Spine computed tomography · sagittal view · 152x179 px
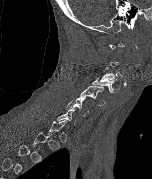
Boxes are (x1, y1, x2, y2) in pixels. Each vertebra is boxed only on the slices from the first to the last where its cross-section reaches a third of its largest, so a slice outside that range leaves it unboxed. The labeled vertebrae in this slice are: C6 at (65, 97, 88, 116), C5 at (80, 86, 106, 107), C4 at (92, 77, 119, 93), C3 at (98, 65, 122, 83).